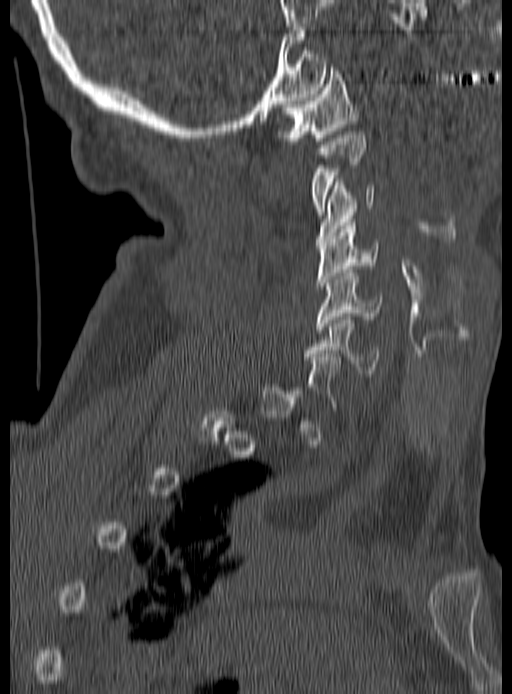

CT spine — image width 190 mm — sagittal view
Box values are [left, top, right, bottom] in pixels.
Not every vertebra on this slice has a box: a vertebra is boxed only from the first to the last slice where its cross-section is at least a third of its largest, and this slice is outside that range for at least one of them.
{"vertebrae":{"C6":[305,317,380,376],"C5":[316,269,384,332],"C4":[316,222,380,289],"C3":[316,182,375,245],"C2":[311,131,366,215],"C1":[278,64,358,144]}}